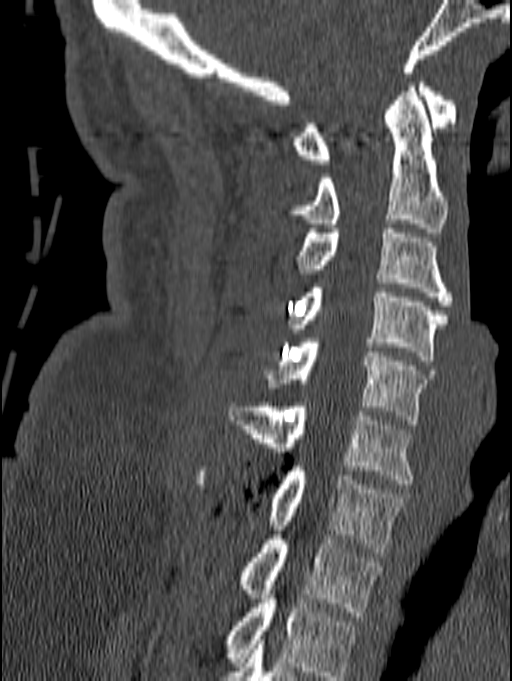 CT, spine · image width 140 mm · sagittal view · Bone window (WL 400, WW 1800). Each box given as x1,y1,x2,y2.
This scan's labels start at C1 at the top and end at T1 at the bottom.
C1: x1=293, y1=78, x2=456, y2=164
C2: x1=288, y1=82, x2=447, y2=232
C3: x1=296, y1=229, x2=454, y2=305
C4: x1=290, y1=283, x2=447, y2=360
C5: x1=265, y1=338, x2=434, y2=424
C6: x1=227, y1=402, x2=414, y2=484
C7: x1=195, y1=466, x2=406, y2=552
T1: x1=239, y1=526, x2=383, y2=616